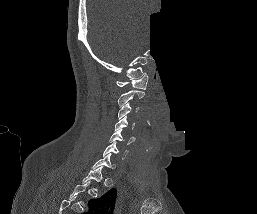 Spine computed tomography · sagittal view · 257x214 px · part of the image has been replaced by a constant value. Each box given as x1,y1,x2,y2.
The highest labeled vertebra in this scan is C1; the lowest is T1.
| vertebra | x1 | y1 | x2 | y2 |
|---|---|---|---|---|
| T1 | 82 | 166 | 103 | 190 |
| C7 | 91 | 153 | 115 | 169 |
| C6 | 103 | 141 | 128 | 159 |
| C5 | 109 | 129 | 135 | 144 |
| C4 | 114 | 115 | 135 | 130 |
| C3 | 118 | 102 | 139 | 118 |
| C2 | 117 | 90 | 144 | 106 |
| C1 | 116 | 73 | 148 | 89 |